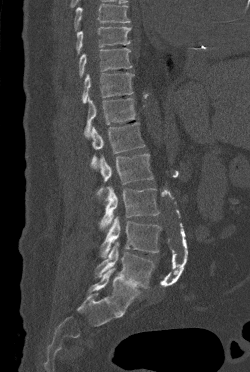 CT spine — sagittal reformat — bone-window reconstruction
Coordinates as <box>x1,y1,x2,y2</box>. A vertebra cut off by the top edge of the scan is not labeled and has no box. 9 vertebrae labeled — T9 at <box>76,26,131,54</box>; T10 at <box>79,48,132,77</box>; T11 at <box>82,72,134,103</box>; T12 at <box>84,96,135,137</box>; L1 at <box>91,122,145,169</box>; L2 at <box>98,153,153,194</box>; L3 at <box>99,186,159,230</box>; L4 at <box>100,216,161,258</box>; L5 at <box>95,242,154,288</box>.